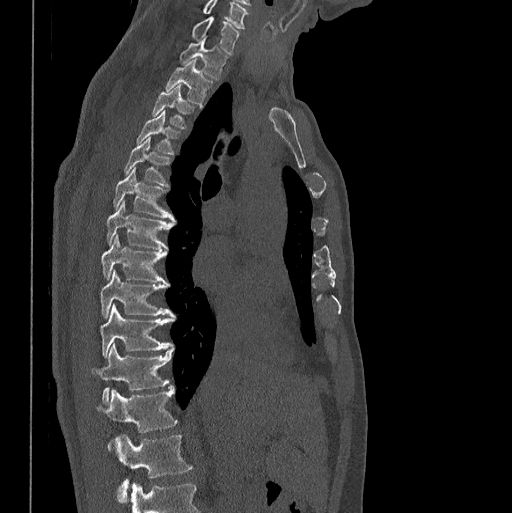
CT — sagittal view — W/L 1800/400 HU. Coordinates as <box>x1,y1,x2,y2</box>.
In this scan, the topmost labeled vertebra is C7 and the lowest is L1.
C7: <box>192,16,239,53</box>
T1: <box>180,38,227,80</box>
T2: <box>166,60,212,106</box>
T3: <box>152,85,193,129</box>
T4: <box>136,110,179,154</box>
T5: <box>123,138,170,185</box>
T6: <box>113,167,175,221</box>
T7: <box>107,200,174,249</box>
T8: <box>101,235,166,282</box>
T9: <box>100,270,175,317</box>
T10: <box>100,304,175,358</box>
T11: <box>91,344,173,403</box>
T12: <box>96,386,178,451</box>
L1: <box>116,434,193,503</box>